CT, spine; sagittal plane, index 408; 768x1012 px; 227 mm wide
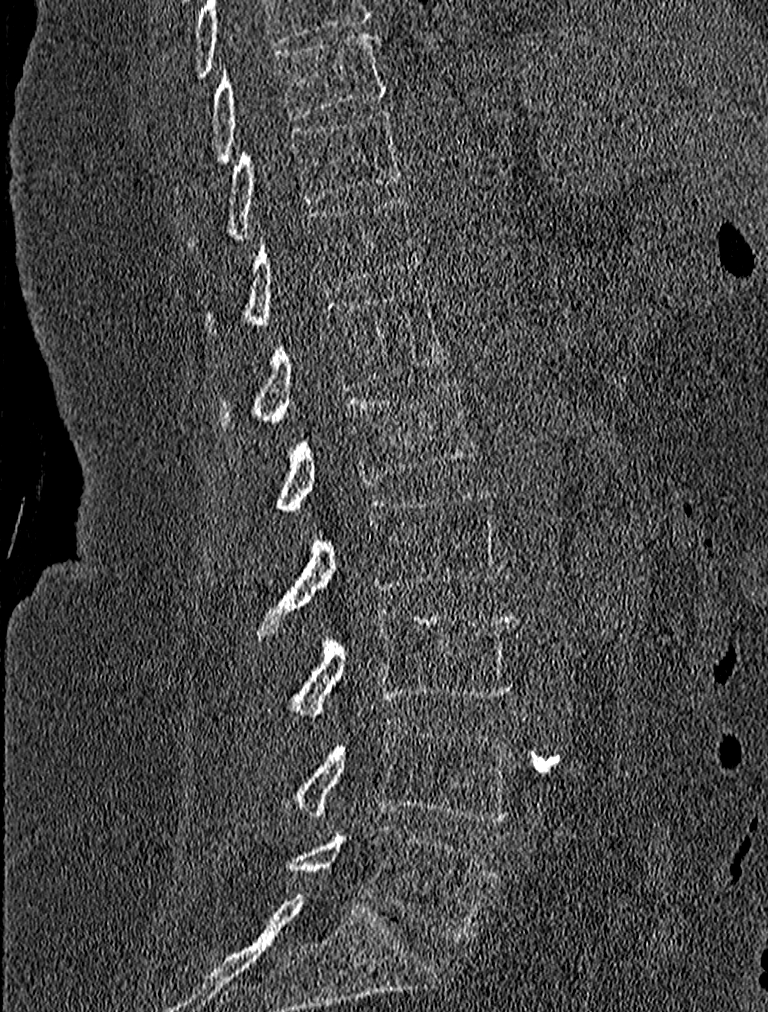

Each box given as x1,y1,x2,y2.
| vertebra | x1 | y1 | x2 | y2 |
|---|---|---|---|---|
| L5 | 286 | 827 | 499 | 941 |
| L4 | 283 | 719 | 514 | 823 |
| L3 | 286 | 607 | 519 | 718 |
| L2 | 256 | 487 | 502 | 634 |
| L1 | 276 | 379 | 478 | 512 |
| T12 | 215 | 288 | 448 | 425 |
| T11 | 202 | 196 | 421 | 331 |
| T10 | 188 | 108 | 400 | 250 |
| T9 | 209 | 33 | 387 | 162 |